CT, spine. sagittal view. bone window
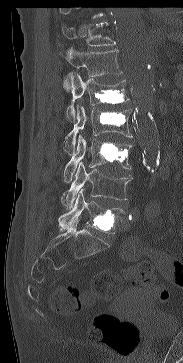 Boxes below are [x1, y1, x2, y2] in pixels.
Vertebrae that run past the top of the scan are left unlabeled.
{"vertebrae":{"T11":[61,22,115,46],"T12":[59,47,122,92],"L1":[65,72,129,123],"L2":[64,104,132,155],"L3":[63,135,131,182],"L4":[61,162,132,208],"L5":[58,189,124,233]}}